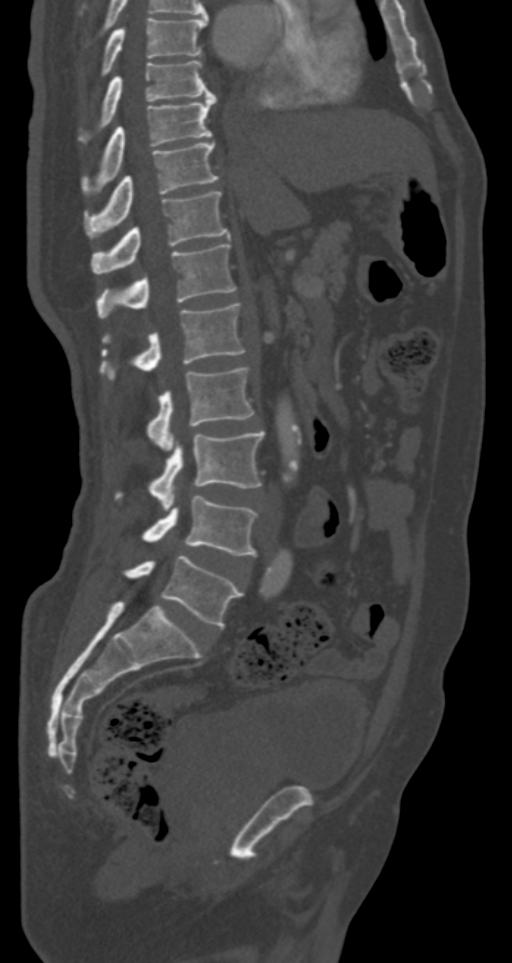

Computed tomography of the spine — sagittal view — 512x963 px

Boxes below are [x1, y1, x2, y2] in pixels.
{"vertebrae":{"T7":[101,17,207,75],"T8":[80,60,213,141],"T9":[85,94,216,190],"T10":[85,142,218,236],"T11":[91,191,229,274],"T12":[96,244,236,317],"L1":[100,303,245,379],"L2":[148,367,254,450],"L3":[148,431,264,509],"L4":[142,496,257,555],"L5":[124,554,243,627]}}